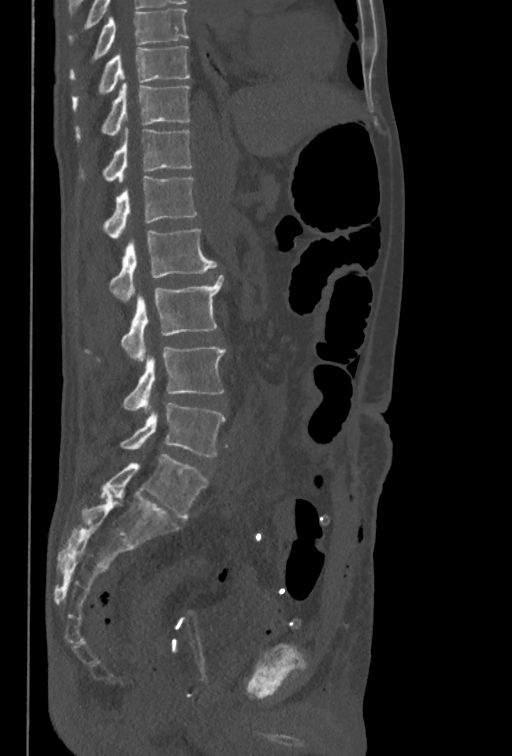

CT, spine — sagittal view — W/L 1800/400 HU — the image is 350 mm wide
Bounding boxes as [x1, y1, x2, y2] in pixel coordinates.
The highest labeled vertebra in this scan is T10; the lowest is L5.
T10: [71, 46, 189, 111]
T11: [76, 83, 189, 140]
T12: [80, 128, 192, 182]
L1: [102, 176, 198, 239]
L2: [109, 229, 217, 302]
L3: [85, 275, 223, 361]
L4: [123, 346, 226, 412]
L5: [120, 403, 226, 457]